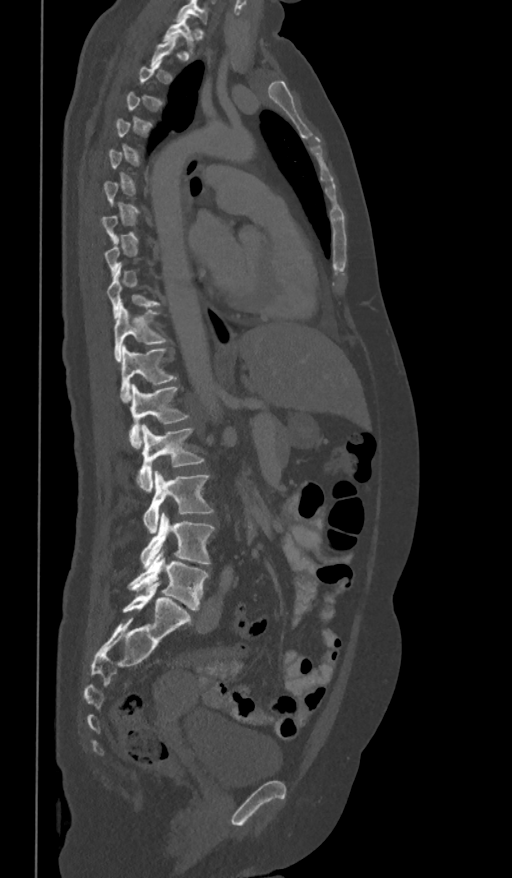

Spine CT — sagittal reformat — 361 mm image width — bone-window reconstruction
Each row gives a vertebra's box as x1, y1, x2, y2 in pixels: top-left corner, then bottom-right corner.
A vertebra is boxed only from the first to the last slice where its cross-section is at least a third of its largest; slices outside that range leave it without a box.
This scan's labels start at T1 at the top and end at L5 at the bottom.
| vertebra | x1 | y1 | x2 | y2 |
|---|---|---|---|---|
| T1 | 163 | 17 | 195 | 54 |
| T10 | 106 | 267 | 160 | 318 |
| T11 | 115 | 304 | 165 | 362 |
| T12 | 120 | 345 | 174 | 402 |
| L1 | 129 | 383 | 190 | 447 |
| L2 | 137 | 425 | 204 | 492 |
| L3 | 143 | 471 | 213 | 533 |
| L4 | 140 | 512 | 214 | 567 |
| L5 | 127 | 550 | 209 | 610 |